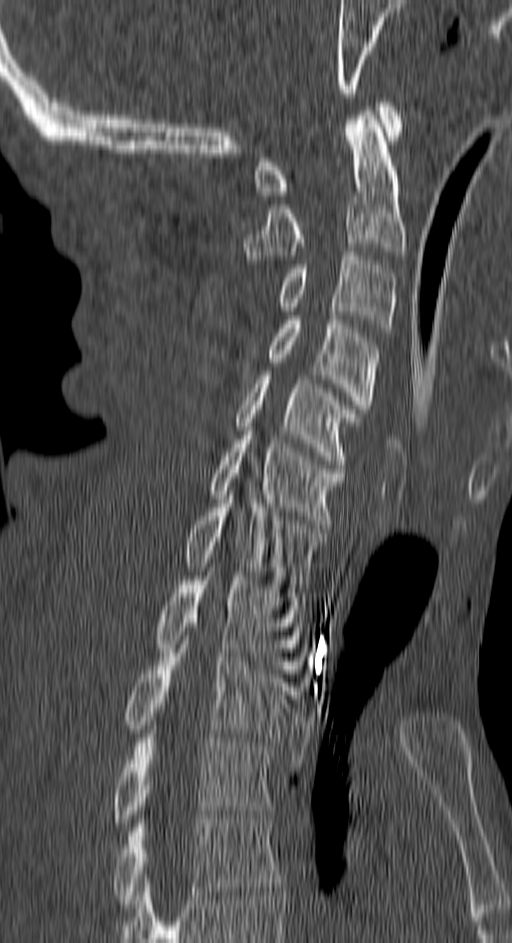

Spine computed tomography · sagittal reformat
<vertebrae><v name="C1" x1="254" y1="98" x2="403" y2="195"/><v name="C2" x1="244" y1="111" x2="406" y2="264"/><v name="C3" x1="278" y1="252" x2="396" y2="332"/><v name="C4" x1="267" y1="316" x2="379" y2="430"/><v name="C5" x1="237" y1="371" x2="361" y2="464"/><v name="C6" x1="209" y1="435" x2="345" y2="524"/><v name="C7" x1="182" y1="495" x2="324" y2="588"/><v name="T1" x1="155" y1="576" x2="303" y2="669"/><v name="T2" x1="124" y1="640" x2="288" y2="741"/><v name="T3" x1="114" y1="730" x2="273" y2="827"/><v name="T4" x1="114" y1="815" x2="280" y2="908"/></vertebrae>